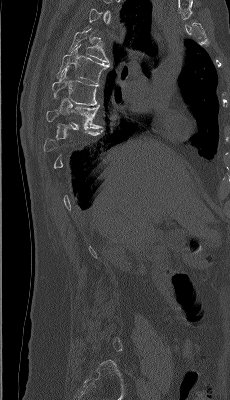 CT; sagittal view; bone window

Each box is [x1, y1, x2, y2] in pixels: top-left corner, then bottom-right corner.
Not every vertebra on this slice has a box: a vertebra is boxed only from the first to the last slice where its cross-section is at least a third of its largest, and this slice is outside that range for at least one of them.
{"vertebrae":{"T8":[46,105,101,129],"T7":[52,69,98,105],"T6":[57,44,109,84],"T5":[69,28,108,62]}}